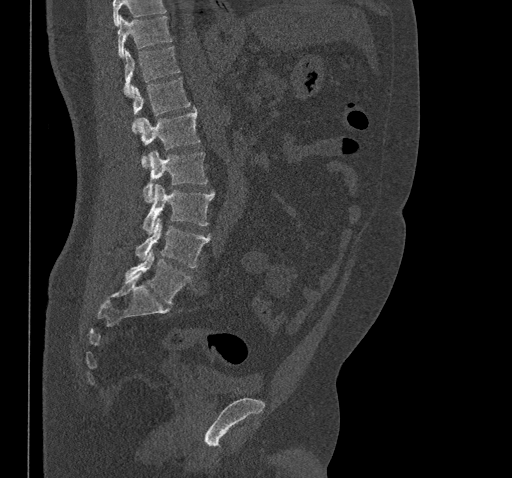

CT; sagittal view
Boxes: x1 y1 x2 y2 (pixel coords, space-separated).
Where the top of the scan cuts through a vertebra, that vertebra gets no label or box.
T10: 118 16 172 57
T11: 123 46 180 95
T12: 132 77 189 133
L1: 140 107 199 168
L2: 143 150 207 201
L3: 143 185 215 234
L4: 135 218 210 267
L5: 125 251 191 304